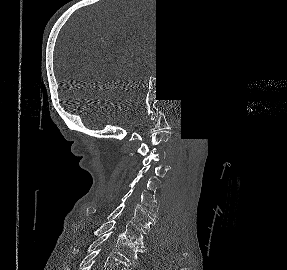
Computed tomography of the spine. sagittal view. W/L 1800/400 HU. 287x270 px. some of the image was removed or blocked out with constant pixels
In the table, x1 and y1 are a box's top-left corner and x2 and y2 its bottom-right corner, in pixels.
| vertebra | x1 | y1 | x2 | y2 |
|---|---|---|---|---|
| T2 | 77 | 232 | 146 | 264 |
| T1 | 94 | 220 | 147 | 247 |
| C7 | 86 | 202 | 157 | 229 |
| C6 | 121 | 187 | 158 | 218 |
| C5 | 129 | 175 | 160 | 202 |
| C4 | 138 | 165 | 171 | 177 |
| C3 | 142 | 148 | 165 | 165 |
| C2 | 129 | 131 | 170 | 155 |
| C1 | 129 | 111 | 170 | 140 |